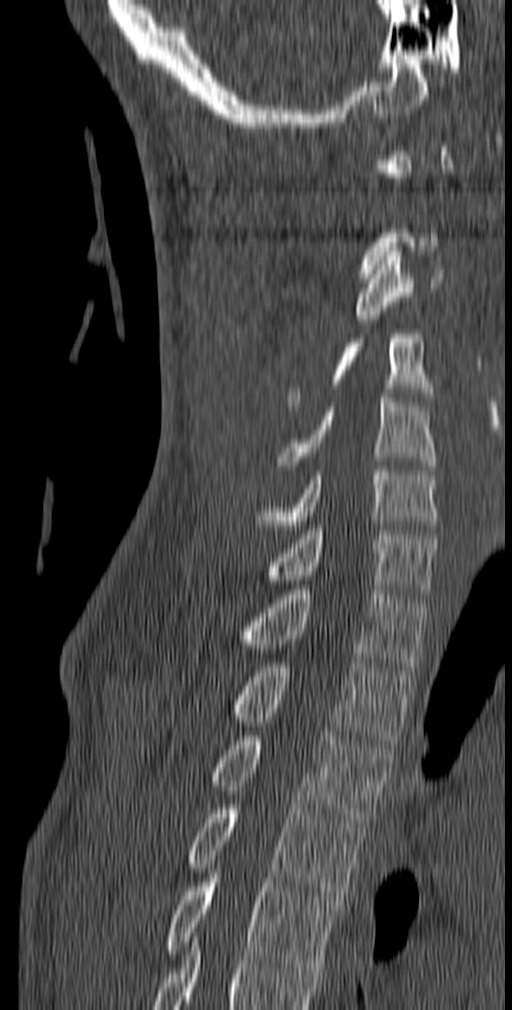
Spine computed tomography; sagittal reformat; bone-window reconstruction; 512x1010 px
Not every vertebra on this slice has a box: a vertebra is boxed only from the first to the last slice where its cross-section is at least a third of its largest, and this slice is outside that range for at least one of them.
<vertebrae><v name="C3" x1="355" y1="247" x2="445" y2="324"/><v name="C4" x1="288" y1="306" x2="434" y2="406"/><v name="C5" x1="278" y1="393" x2="436" y2="470"/><v name="C6" x1="256" y1="466" x2="439" y2="534"/><v name="C7" x1="263" y1="526" x2="437" y2="598"/><v name="T1" x1="240" y1="585" x2="426" y2="671"/><v name="T2" x1="229" y1="658" x2="412" y2="744"/><v name="T3" x1="213" y1="731" x2="393" y2="826"/><v name="T4" x1="188" y1="805" x2="365" y2="900"/><v name="T5" x1="166" y1="864" x2="337" y2="973"/></vertebrae>